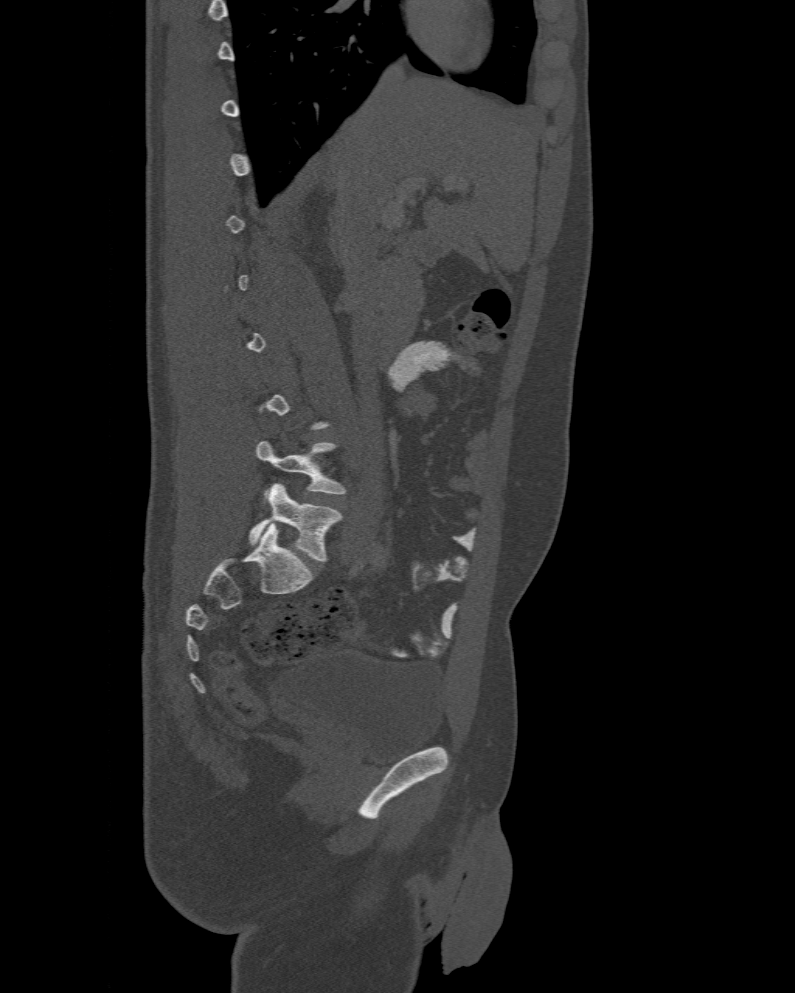
Computed tomography of the spine — 477 mm across the image — sagittal view — bone-window reconstruction
Each vertebra is boxed only on the slices from the first to the last where its cross-section reaches a third of its largest, so a slice outside that range leaves it unboxed.
In these labels the spine has an L6, a sixth lumbar vertebra below L5.
<vertebrae><v name="L5" x1="256" y1="440" x2="345" y2="498"/><v name="L6" x1="248" y1="483" x2="342" y2="562"/></vertebrae>